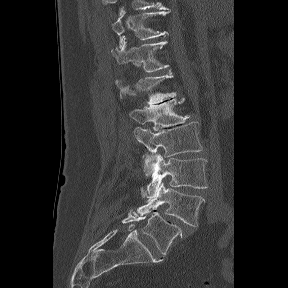 CT spine · sagittal reformat · W/L 1800/400 HU. Boxes are (x1, y1, x2, y2) in pixels. This scan's labels start at T11 at the top and end at L6 at the bottom. In these labels the spine has an L6, a sixth lumbar vertebra below L5. The labeled vertebrae in this slice are: L6 at (122, 210, 182, 255), L5 at (137, 182, 205, 226), L4 at (140, 153, 207, 198), L3 at (133, 122, 202, 176), L2 at (129, 97, 190, 130), L1 at (115, 71, 176, 105), T12 at (111, 36, 169, 72), T11 at (113, 11, 169, 48).